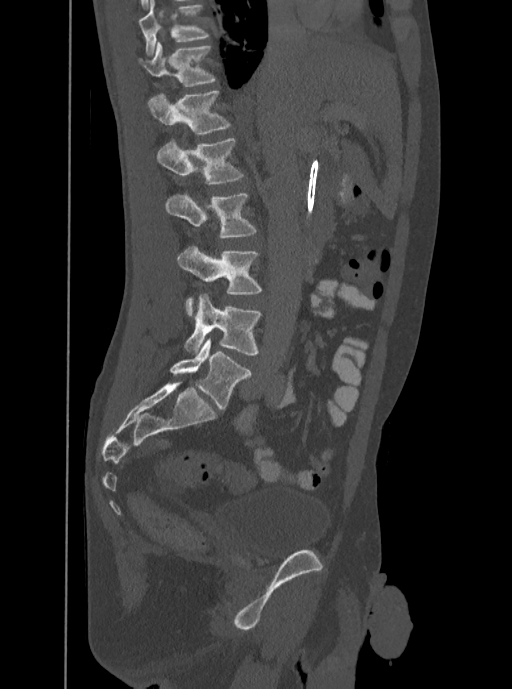 Spine CT. sagittal view. Coordinates as <box>x1,y1,x2,y2</box>.
In this scan, the topmost labeled vertebra is T12 and the lowest is L5.
Vertebra bounding boxes:
- T12: <box>139,42,214,86</box>
- L1: <box>148,91,230,133</box>
- L2: <box>155,138,243,185</box>
- L3: <box>164,192,256,237</box>
- L4: <box>177,245,261,315</box>
- L5: <box>184,294,261,354</box>